CT · sagittal reformat · 336 mm across the image · scan covers 16 annotated vertebrae
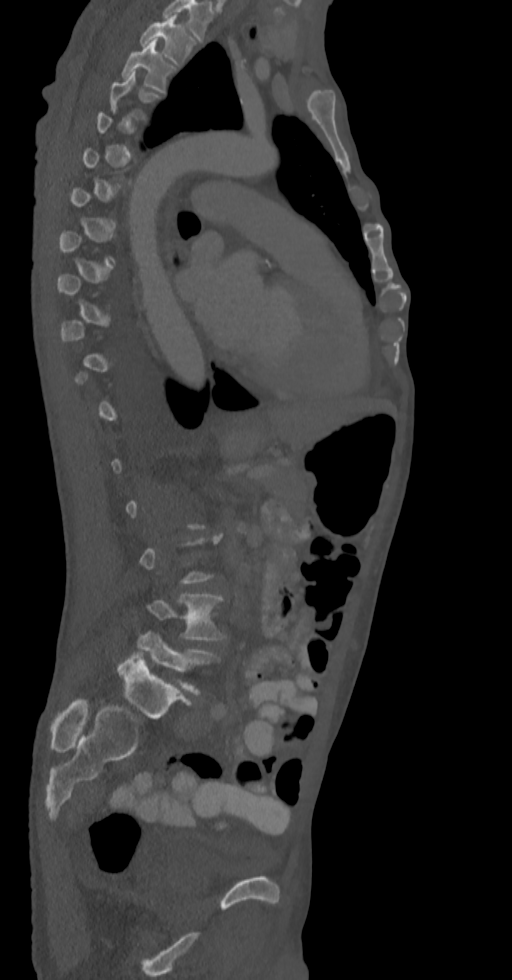
Bounding boxes as [x1, y1, x2, y2] in pixel coordinates. A vertebra gets a box only on the slices from the first to the last where its cross-section is at least a third of its largest; on a slice outside that range it gets none. 4 vertebrae labeled — L5 at [138, 631, 218, 694]; L4 at [148, 593, 226, 641]; T3 at [122, 41, 174, 92]; T2 at [140, 15, 193, 65].